Spine CT; sagittal reformat; 512x850 px; 19 vertebrae labeled in this scan
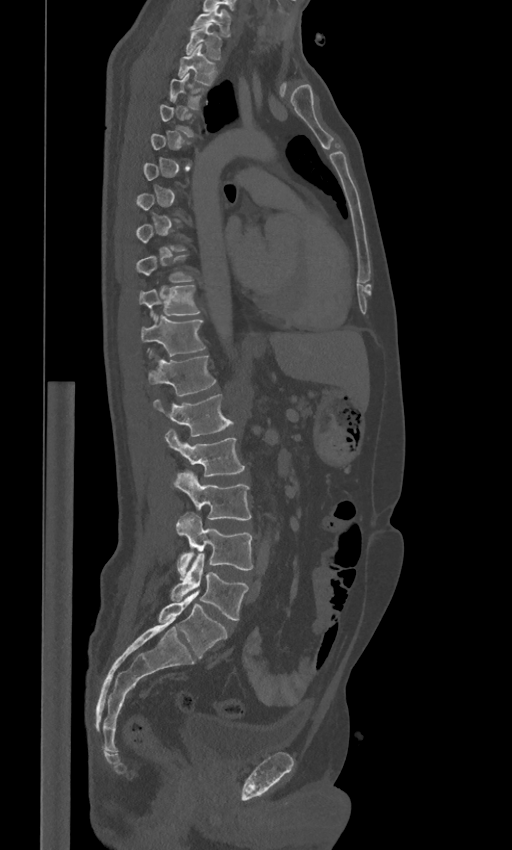 Box edges are left/top/right/bottom in pixels.
Each vertebra is boxed only on the slices from the first to the last where its cross-section reaches a third of its largest, so a slice outside that range leaves it unboxed.
These labels give the spine a sixth lumbar vertebra, L6, below L5.
Vertebra bounding boxes:
- L6: left=158, top=590, right=227, bottom=658
- L5: left=171, top=554, right=249, bottom=620
- L4: left=176, top=513, right=253, bottom=575
- L3: left=173, top=469, right=251, bottom=519
- L2: left=165, top=430, right=244, bottom=476
- L1: left=154, top=394, right=234, bottom=436
- T12: left=148, top=350, right=216, bottom=395
- T11: left=140, top=315, right=206, bottom=356
- T10: left=139, top=285, right=200, bottom=317
- T9: left=136, top=255, right=193, bottom=281
- T3: left=169, top=74, right=207, bottom=109
- T2: left=178, top=44, right=217, bottom=85
- T1: left=185, top=23, right=222, bottom=59
- C7: left=192, top=9, right=231, bottom=36